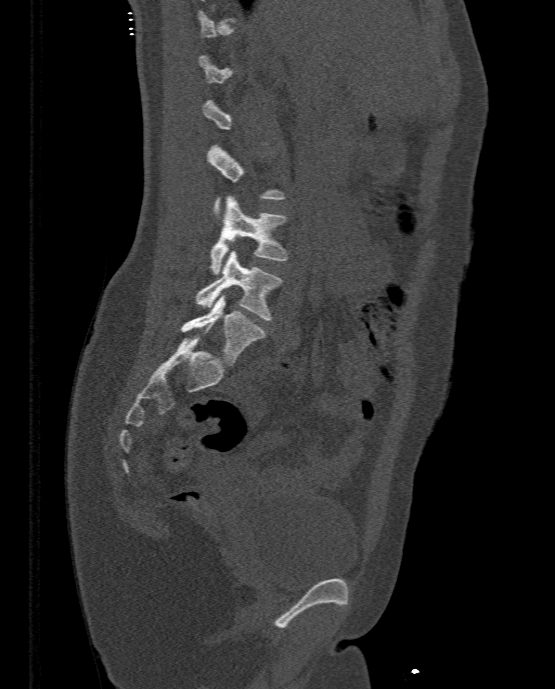

CT. sagittal reformat. 555x689 px
Coordinates as <box>x1,y1,x2,y2</box>.
A vertebra is boxed only from the first to the last slice where its cross-section is at least a third of its largest; slices outside that range leave it without a box.
L3: <box>209,196,287,274</box>
L4: <box>195,250,282,320</box>
L5: <box>181,293,266,365</box>